CT; Sagittal slice 47/95; the image spans 320 mm across
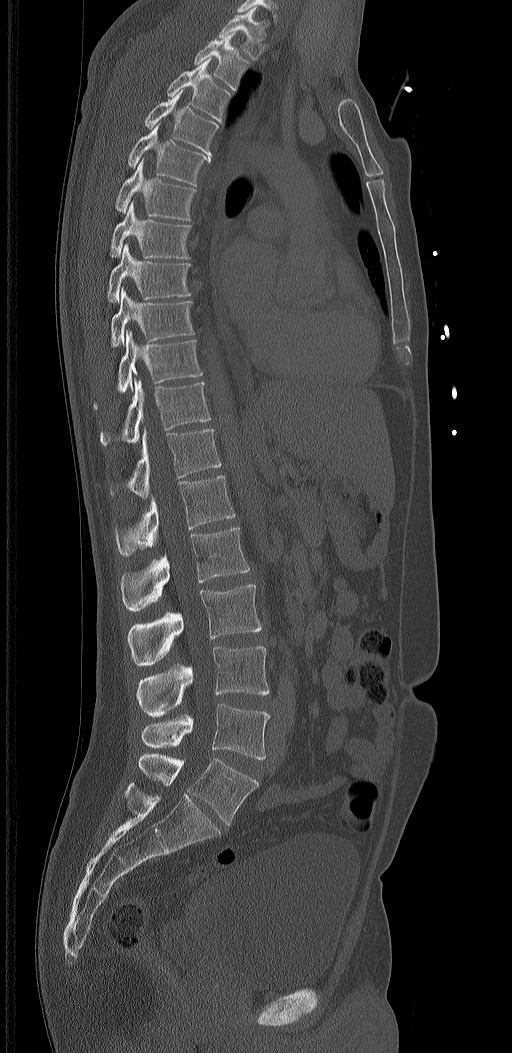 Coordinates as <box>x1,y1,x2,y2</box>. The labels name a sixth lumbar vertebra for this spine: L6, after L5. 18 vertebrae labeled — T1 at <box>218,6,267,60</box>; T2 at <box>194,32,249,91</box>; T3 at <box>167,57,231,123</box>; T4 at <box>145,90,219,157</box>; T5 at <box>128,123,211,186</box>; T6 at <box>116,157,196,220</box>; T7 at <box>111,198,190,259</box>; T8 at <box>107,244,191,303</box>; T9 at <box>111,287,195,347</box>; T10 at <box>93,330,203,409</box>; T11 at <box>100,378,211,446</box>; T12 at <box>111,428,222,497</box>; L1 at <box>116,476,235,556</box>; L2 at <box>120,527,249,611</box>; L3 at <box>127,584,262,665</box>; L4 at <box>136,645,270,716</box>; L5 at <box>141,703,270,759</box>; L6 at <box>138,753,259,825</box>.